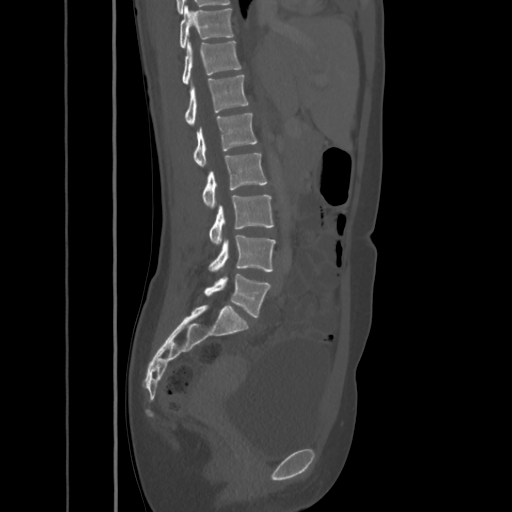

CT spine; sagittal view; Bone window (WL 400, WW 1800); 512x512 px; 425 mm image width

<vertebrae><v name="T10" x1="180" y1="5" x2="233" y2="47"/><v name="T11" x1="182" y1="41" x2="241" y2="83"/><v name="T12" x1="184" y1="75" x2="248" y2="126"/><v name="L1" x1="193" y1="112" x2="257" y2="167"/><v name="L2" x1="202" y1="153" x2="268" y2="208"/><v name="L3" x1="209" y1="194" x2="274" y2="245"/><v name="L4" x1="209" y1="235" x2="275" y2="271"/><v name="L5" x1="204" y1="274" x2="270" y2="317"/></vertebrae>